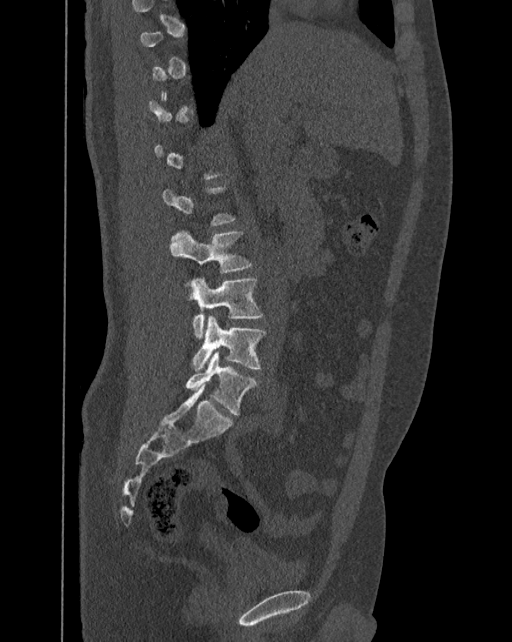
CT, spine. sagittal reformat
Each row gives a vertebra's box as x1, y1, x2, y2 in pixels: top-left corner, then bottom-right corner.
Not every vertebra on this slice has a box: a vertebra is boxed only from the first to the last slice where its cross-section is at least a third of its largest, and this slice is outside that range for at least one of them.
In these labels the spine has an L6, a sixth lumbar vertebra below L5.
| vertebra | x1 | y1 | x2 | y2 |
|---|---|---|---|---|
| L3 | 170 | 230 | 251 | 273 |
| L4 | 185 | 277 | 261 | 339 |
| L5 | 192 | 315 | 265 | 370 |
| L6 | 185 | 351 | 256 | 415 |